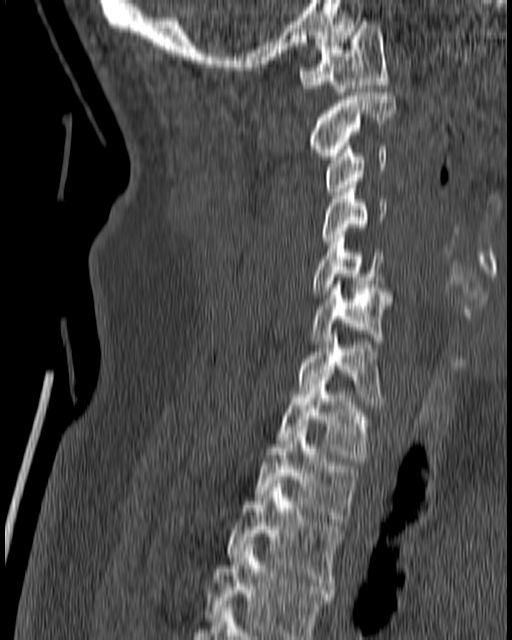

CT spine — sagittal view
Columns x1, y1, x2, y2 give each box's top-left and bottom-right pixels.
| vertebra | x1 | y1 | x2 | y2 |
|---|---|---|---|---|
| C1 | 300 | 21 | 387 | 91 |
| C2 | 311 | 92 | 395 | 159 |
| C3 | 325 | 139 | 387 | 195 |
| C4 | 322 | 181 | 387 | 248 |
| C5 | 309 | 235 | 381 | 294 |
| C6 | 311 | 281 | 392 | 344 |
| C7 | 297 | 331 | 381 | 404 |
| T1 | 277 | 377 | 367 | 461 |
| T2 | 254 | 423 | 358 | 522 |
| T3 | 228 | 476 | 341 | 589 |
| T4 | 205 | 544 | 333 | 639 |